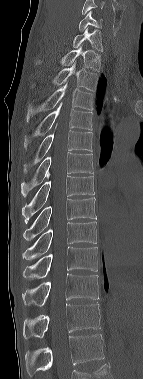 CT · sagittal view · the image is 143 mm wide
In this scan, the topmost labeled vertebra is C6 and the lowest is T12.
<vertebrae><v name="C6" x1="78" y1="11" x2="102" y2="31"/><v name="C7" x1="72" y1="28" x2="103" y2="51"/><v name="T1" x1="36" y1="47" x2="100" y2="71"/><v name="T2" x1="29" y1="63" x2="97" y2="91"/><v name="T3" x1="27" y1="83" x2="93" y2="121"/><v name="T4" x1="24" y1="103" x2="93" y2="149"/><v name="T5" x1="23" y1="123" x2="92" y2="173"/><v name="T6" x1="21" y1="152" x2="93" y2="197"/><v name="T7" x1="22" y1="176" x2="94" y2="224"/><v name="T8" x1="23" y1="198" x2="96" y2="240"/><v name="T9" x1="22" y1="221" x2="96" y2="259"/><v name="T10" x1="23" y1="246" x2="97" y2="279"/><v name="T11" x1="22" y1="273" x2="98" y2="306"/><v name="T12" x1="23" y1="304" x2="100" y2="339"/></vertebrae>